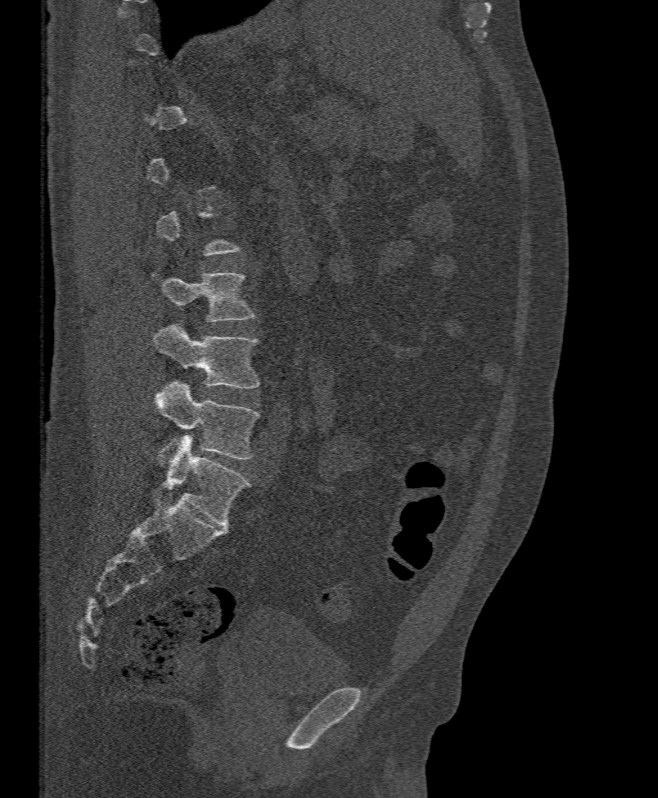
CT spine — sagittal view — bone-window reconstruction — 658x798 px. Bounding boxes as [x1, y1, x2, y2] in pixel coordinates.
A vertebra gets a box only on the slices from the first to the last where its cross-section is at least a third of its largest; on a slice outside that range it gets none.
L3: [152, 272, 255, 321]
L4: [153, 324, 259, 389]
L5: [154, 380, 259, 466]